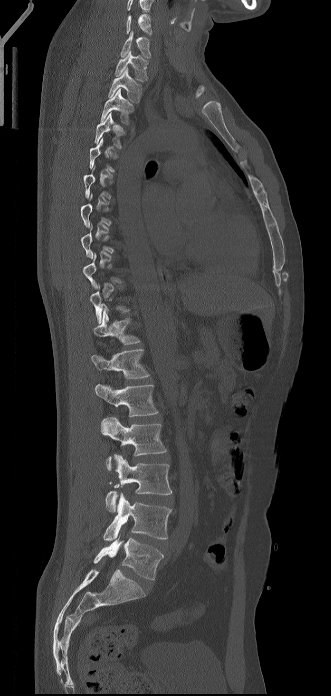 CT, spine · sagittal view · bone window · 331x696 px. Coordinates as <box>x1,y1,x2,y2</box>.
Each vertebra is boxed only on the slices from the first to the last where its cross-section reaches a third of its largest, so a slice outside that range leaves it unboxed.
The highest labeled vertebra in this scan is C6; the lowest is L5.
Vertebra bounding boxes:
- L5: <box>94,536,163,580</box>
- L4: <box>103,492,171,540</box>
- L3: <box>105,454,172,512</box>
- L2: <box>101,417,166,471</box>
- L1: <box>95,384,158,416</box>
- T12: <box>91,349,149,378</box>
- T11: <box>93,308,140,344</box>
- T4: <box>95,112,125,148</box>
- T3: <box>101,88,134,124</box>
- T2: <box>108,67,142,102</box>
- T1: <box>115,50,148,81</box>
- C7: <box>120,31,150,58</box>
- C6: <box>126,14,152,35</box>